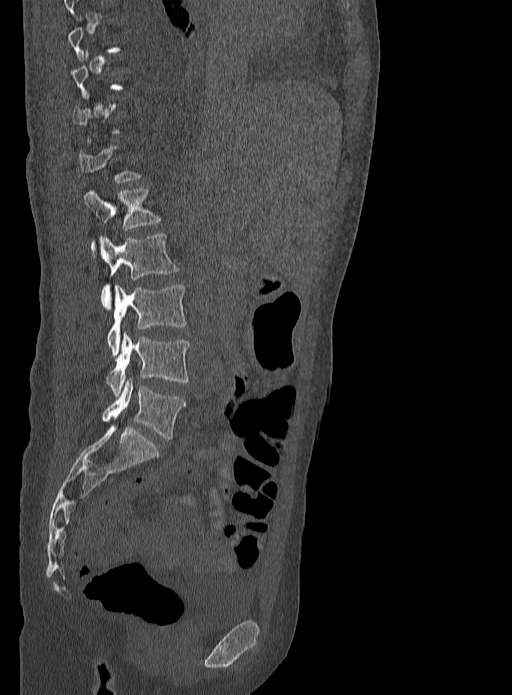
CT · sagittal view · 512x695 px · 333 mm image width
Boxes: x1:y1:x2:y2 in pixels.
Not every vertebra on this slice has a box: a vertebra is boxed only from the first to the last slice where its cross-section is at least a third of its largest, and this slice is outside that range for at least one of them.
Vertebra bounding boxes:
- L1: 84:189:160:248
- L2: 100:234:179:307
- L3: 107:284:186:356
- L4: 106:332:189:396
- L5: 101:378:185:439